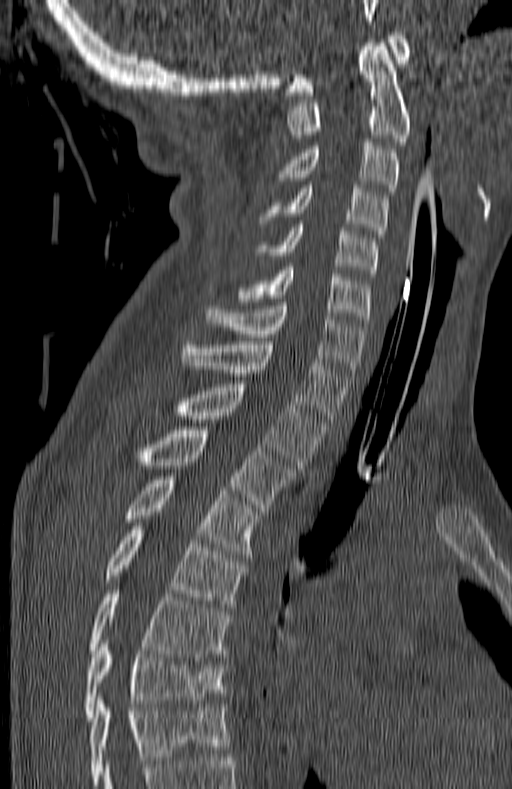 Spine computed tomography; 180 mm across the image; sagittal view
Labels in this scan begin with C1 at the top and end with T7 at the bottom.
<vertebrae><v name="C1" x1="286" y1="32" x2="409" y2="95"/><v name="C2" x1="288" y1="43" x2="410" y2="145"/><v name="C3" x1="280" y1="142" x2="398" y2="195"/><v name="C4" x1="260" y1="185" x2="387" y2="237"/><v name="C5" x1="254" y1="224" x2="378" y2="276"/><v name="C6" x1="240" y1="267" x2="370" y2="319"/><v name="C7" x1="206" y1="302" x2="364" y2="376"/><v name="T1" x1="181" y1="341" x2="350" y2="422"/><v name="T2" x1="177" y1="384" x2="324" y2="468"/><v name="T3" x1="137" y1="427" x2="296" y2="511"/><v name="T4" x1="123" y1="476" x2="259" y2="557"/><v name="T5" x1="106" y1="526" x2="245" y2="607"/><v name="T6" x1="89" y1="590" x2="230" y2="660"/><v name="T7" x1="83" y1="640" x2="225" y2="721"/></vertebrae>